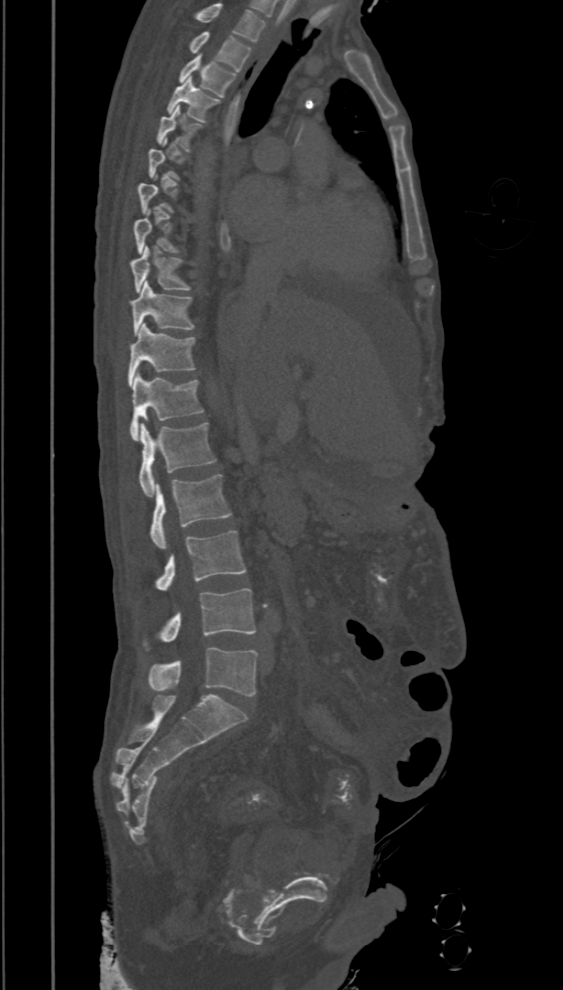 Computed tomography of the spine — sagittal reformat — Bone window (WL 400, WW 1800) — 563x990 px

Each box given as x1,y1,x2,y2.
Not every vertebra on this slice has a box: a vertebra is boxed only from the first to the last slice where its cross-section is at least a third of its largest, and this slice is outside that range for at least one of them.
Labels in this scan begin with T2 at the top and end with L5 at the bottom.
| vertebra | x1 | y1 | x2 | y2 |
|---|---|---|---|---|
| T2 | 190 | 31 | 252 | 71 |
| T3 | 178 | 55 | 236 | 96 |
| T4 | 167 | 76 | 219 | 121 |
| T5 | 157 | 106 | 200 | 151 |
| T8 | 133 | 217 | 177 | 254 |
| T9 | 130 | 247 | 190 | 294 |
| T10 | 130 | 282 | 194 | 335 |
| T11 | 128 | 323 | 196 | 386 |
| T12 | 130 | 372 | 203 | 441 |
| L1 | 139 | 423 | 216 | 496 |
| L2 | 150 | 475 | 232 | 549 |
| L3 | 155 | 530 | 246 | 591 |
| L4 | 143 | 589 | 256 | 651 |
| L5 | 148 | 647 | 257 | 696 |